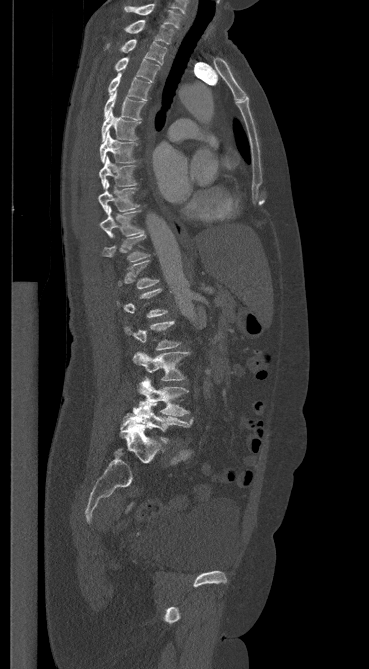
Computed tomography of the spine — sagittal view
Coordinates as <box>x1,y1,x2,y2</box>.
A vertebra is boxed only from the first to the last slice where its cross-section is at least a third of its largest; slices outside that range leave it without a box.
L5: <box>122,399,192,443</box>
L4: <box>137,378,188,416</box>
L3: <box>133,352,188,380</box>
L2: <box>125,321,180,350</box>
T11: <box>102,234,149,261</box>
T10: <box>100,206,143,237</box>
T9: <box>98,180,139,212</box>
T8: <box>99,156,137,187</box>
T7: <box>99,132,136,163</box>
T6: <box>101,110,142,141</box>
T5: <box>104,91,145,120</box>
T4: <box>108,73,150,100</box>
T3: <box>114,57,159,81</box>
T2: <box>120,39,166,64</box>
T1: <box>124,20,173,44</box>
C7: <box>125,4,180,28</box>